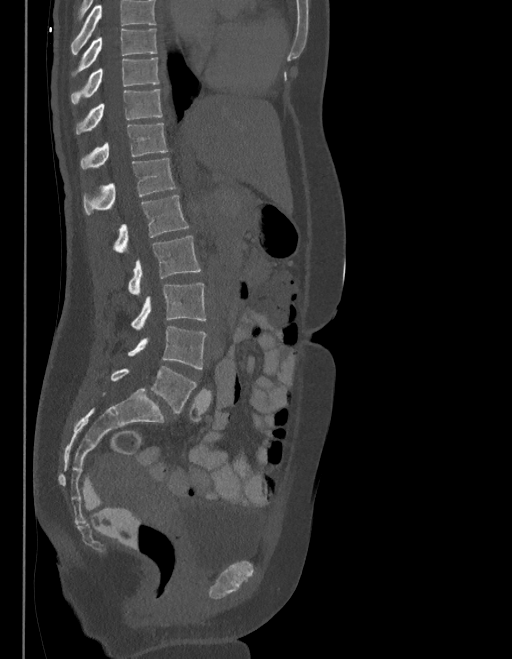 CT spine; sagittal view; 512x659 px. Bounding boxes as [x1, y1, x2, y2] in pixel coordinates.
No box is given to a vertebra that the top edge of the scan cuts off.
These labels give the spine a sixth lumbar vertebra, L6, below L5.
T9: [79, 29, 156, 71]
T10: [71, 58, 159, 104]
T11: [76, 89, 161, 133]
T12: [81, 122, 167, 168]
L1: [84, 158, 174, 214]
L2: [114, 196, 188, 253]
L3: [128, 236, 200, 295]
L4: [132, 282, 206, 329]
L5: [128, 326, 206, 369]
L6: [110, 367, 196, 413]